Computed tomography of the spine. Sagittal slice 482/768. W/L 1800/400 HU. scan covers 9 annotated vertebrae
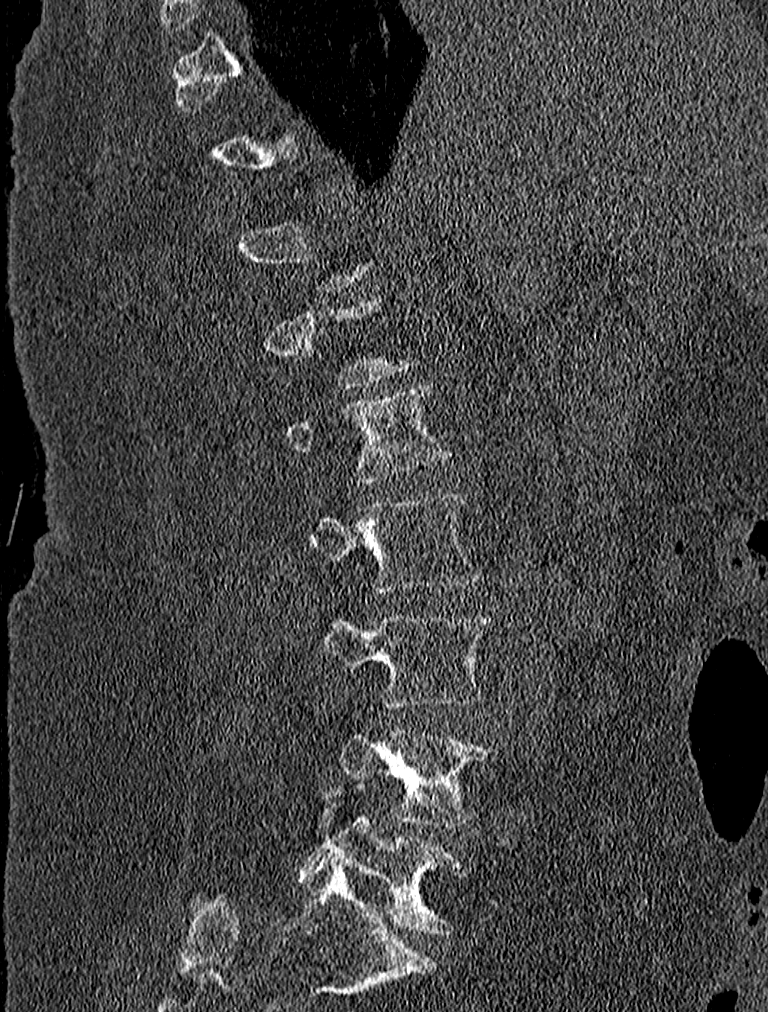

Coordinates as <box>x1,y1,x2,y2</box>.
A vertebra is boxed only from the first to the last slice where its cross-section is at least a third of its largest; slices outside that range leave it without a box.
Vertebra bounding boxes:
- L1: <box>286,382,451,483</box>
- L2: <box>307,495,482,593</box>
- L3: <box>310,607,495,708</box>
- L4: <box>337,729,497,826</box>
- L5: <box>297,781,468,934</box>